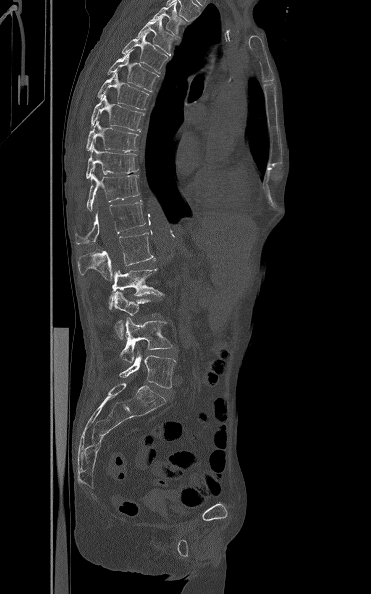 Computed tomography of the spine · sagittal reformat
Box values are [left, top, right, bottom] in pixels.
{"vertebrae":{"L5":[119,352,176,388],"L4":[120,318,173,363],"L3":[113,291,159,338],"L2":[109,268,164,309],"L1":[78,230,154,280],"T12":[75,200,145,244],"T11":[86,173,140,211],"T10":[86,144,138,179],"T9":[86,120,138,151],"T8":[91,94,144,131],"T7":[97,72,149,109],"T6":[107,48,159,91],"T5":[121,32,168,73],"T4":[137,18,177,55],"T3":[150,2,186,37]}}